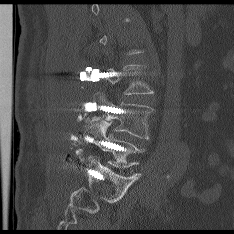

Spine CT. sagittal view. bone-window reconstruction
Each box is [x1, y1, x2, y2] in pixels: top-left corner, then bottom-right corner.
Not every vertebra on this slice has a box: a vertebra is boxed only from the first to the last slice where its cross-section is at least a third of its largest, and this slice is outside that range for at least one of them.
{"vertebrae":{"L4":[90,92,153,140],"L5":[84,120,143,167]}}